Computed tomography of the spine. sagittal view. 593x528 px
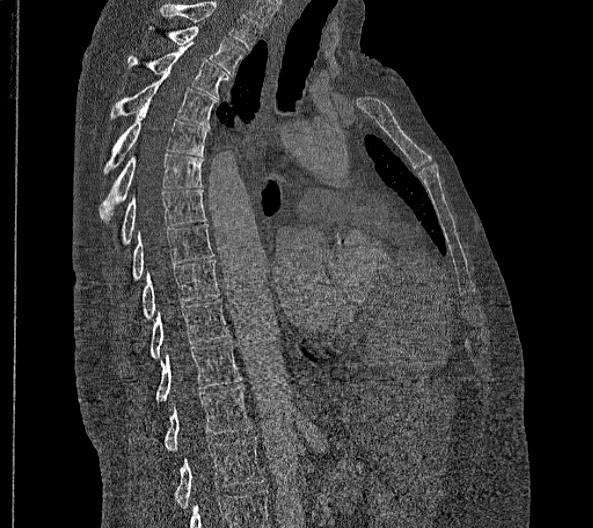
In the table, x1 and y1 are a box's top-left corner and x2 and y2 its bottom-right corner, in pixels.
This scan's labels start at T2 at the top and end at L2 at the bottom.
In these labels the spine has no T12: the thoracic vertebrae end at T11, and L1 comes next.
| vertebra | x1 | y1 | x2 | y2 |
|---|---|---|---|---|
| T2 | 147 | 27 | 246 | 75 |
| T3 | 126 | 43 | 227 | 99 |
| T4 | 109 | 73 | 217 | 126 |
| T5 | 103 | 106 | 209 | 172 |
| T6 | 98 | 154 | 202 | 223 |
| T7 | 119 | 188 | 205 | 246 |
| T8 | 131 | 223 | 213 | 281 |
| T9 | 141 | 260 | 219 | 319 |
| T10 | 148 | 298 | 228 | 359 |
| T11 | 155 | 341 | 240 | 402 |
| L1 | 165 | 385 | 252 | 451 |
| L2 | 173 | 437 | 263 | 509 |